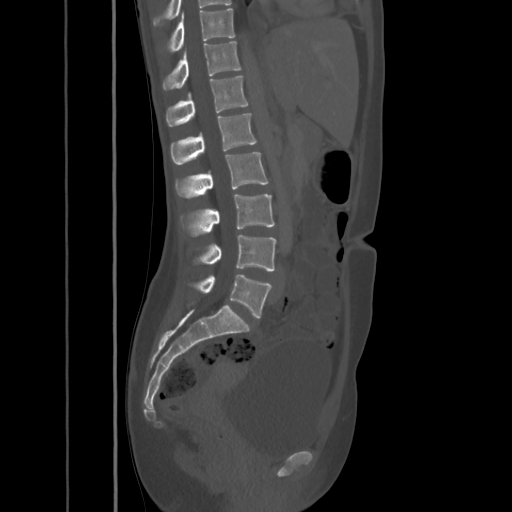
CT · sagittal reformat · bone-window reconstruction · image 425 mm wide. Columns x1, y1, x2, y2 give each box's top-left and bottom-right pixels.
| vertebra | x1 | y1 | x2 | y2 |
|---|---|---|---|---|
| T10 | 168 | 9 | 235 | 51 |
| T11 | 163 | 40 | 241 | 89 |
| T12 | 165 | 76 | 248 | 126 |
| L1 | 170 | 113 | 257 | 164 |
| L2 | 175 | 152 | 268 | 198 |
| L3 | 188 | 194 | 275 | 235 |
| L4 | 196 | 235 | 276 | 270 |
| L5 | 193 | 275 | 271 | 317 |